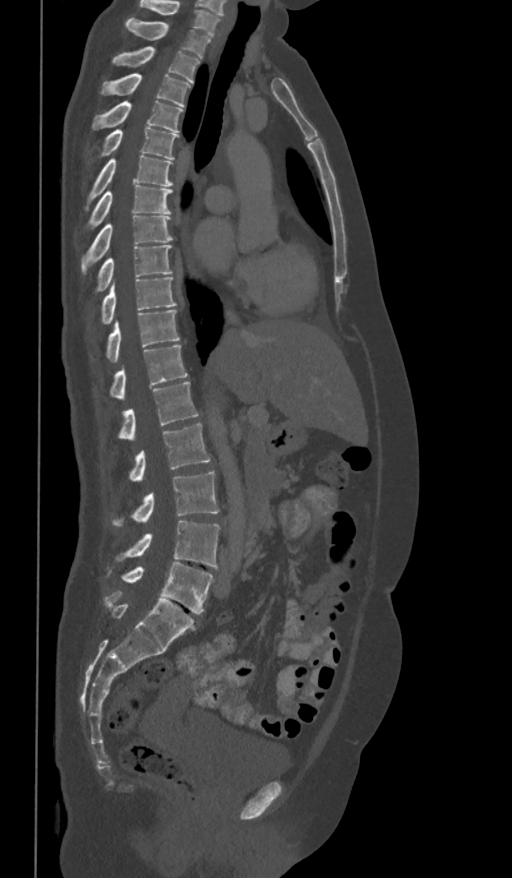
Computed tomography of the spine — sagittal view — bone-window reconstruction — 512x878 px
Coordinates as <box>x1,y1,x2,y2</box>.
The highest labeled vertebra in this scan is T1; the lowest is L5.
Vertebra bounding boxes:
- L5: <box>122,562,213,613</box>
- L4: <box>118,521,220,568</box>
- L3: <box>113,471,219,526</box>
- L2: <box>130,423,210,481</box>
- L1: <box>119,382,199,441</box>
- T12: <box>110,345,187,400</box>
- T11: <box>98,310,179,363</box>
- T10: <box>102,277,176,323</box>
- T9: <box>95,244,172,293</box>
- T8: <box>82,216,173,273</box>
- T7: <box>83,185,172,230</box>
- T6: <box>86,154,173,208</box>
- T5: <box>88,128,179,164</box>
- T4: <box>92,101,183,132</box>
- T3: <box>100,73,190,106</box>
- T2: <box>112,46,199,83</box>
- T1: <box>125,18,210,58</box>